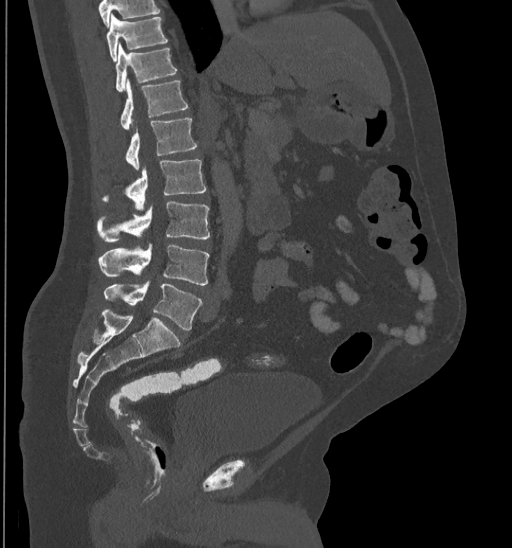 Spine CT · sagittal view · bone window
Boxes: x1 y1 x2 y2 (pixel coords, space-separated). No box is given to a vertebra that the top edge of the scan cuts off. 8 vertebrae labeled — L5 at 103 281 201 331; L4 at 99 246 210 285; L3 at 98 201 210 242; L2 at 101 159 206 209; L1 at 125 119 197 168; T12 at 120 78 187 129; T11 at 115 43 177 91; T10 at 107 15 168 60.